Spine computed tomography. sagittal plane, index 238. bone-window reconstruction
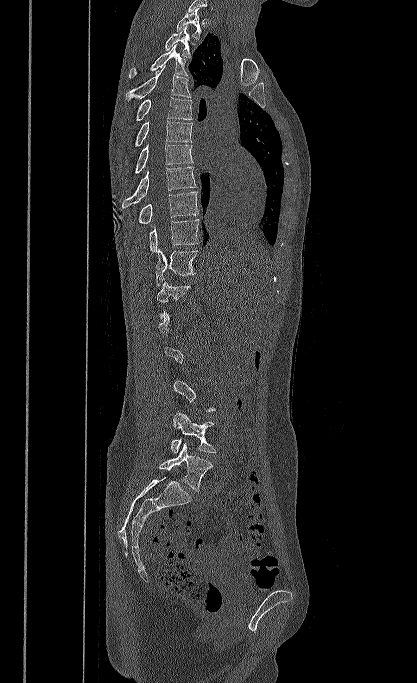
Each box given as x1,y1,x2,y2.
A vertebra is boxed only from the first to the last slice where its cross-section is at least a third of its largest; slices outside that range leave it without a box.
Vertebra bounding boxes:
- L5: x1=159, y1=443, x2=213, y2=491
- L4: x1=170, y1=411, x2=216, y2=454
- T12: x1=156, y1=281, x2=190, y2=318
- T11: x1=155, y1=248, x2=197, y2=287
- T10: x1=149, y1=219, x2=199, y2=252
- T9: x1=138, y1=191, x2=198, y2=224
- T8: x1=122, y1=167, x2=196, y2=208
- T7: x1=134, y1=143, x2=193, y2=174
- T6: x1=135, y1=121, x2=192, y2=146
- T5: x1=135, y1=97, x2=192, y2=121
- T4: x1=125, y1=66, x2=191, y2=101
- T3: x1=129, y1=44, x2=188, y2=78
- T2: x1=165, y1=26, x2=192, y2=58
- T1: x1=176, y1=8, x2=201, y2=39